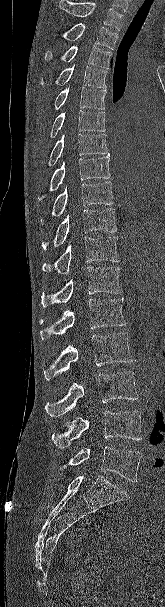
CT spine; sagittal view; bone window. Boxes: x1 y1 x2 y2 (pixel coords, space-separated).
Vertebrae that run past the top of the scan are left unlabeled.
T2: 54 23 117 49
T3: 45 45 111 68
T4: 40 64 108 88
T5: 54 85 106 109
T6: 50 110 105 137
T7: 48 134 108 165
T8: 38 154 110 200
T9: 41 181 113 223
T10: 41 208 117 249
T11: 42 236 119 272
T12: 41 266 122 307
L1: 40 298 125 339
L2: 43 332 135 380
L3: 45 371 138 416
L4: 51 411 141 448
L5: 59 446 141 481